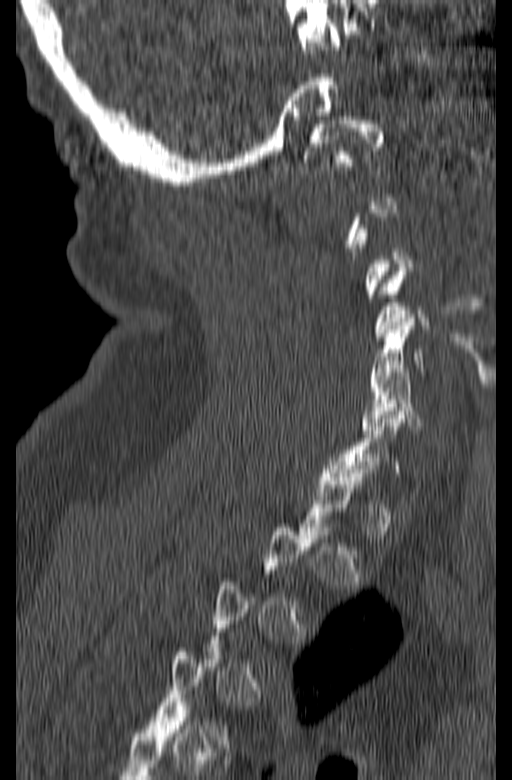
Spine CT; sagittal view; image 165 mm wide
Boxes: x1 y1 x2 y2 (pixel coords, space-separated).
Not every vertebra on this slice has a box: a vertebra is boxed only from the first to the last slice where its cross-section is at least a third of its largest, and this slice is outside that range for at least one of them.
C1: 303 116 385 166
C6: 361 368 421 433